Computed tomography of the spine — sagittal view
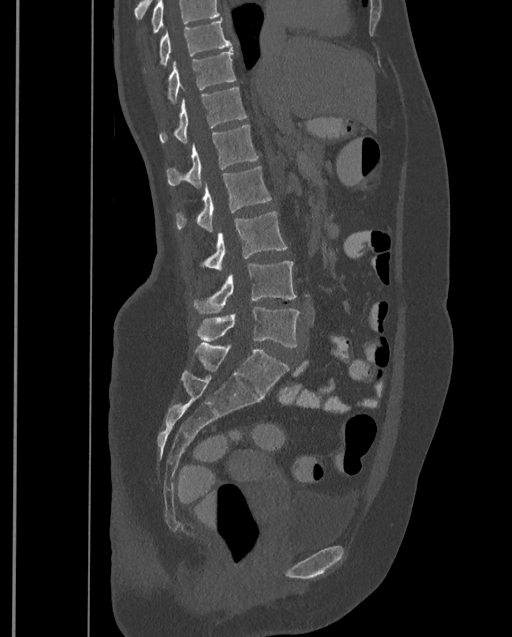
Each row gives a vertebra's box as x1, y1, x2, y2 in pixels: top-left corner, then bottom-right corner.
No box is given to a vertebra that the top edge of the scan cuts off.
This scan's labels start at T9 at the top and end at L4 at the bottom.
| vertebra | x1 | y1 | x2 | y2 |
|---|---|---|---|---|
| L4 | 197 | 306 | 299 | 347 |
| L3 | 194 | 260 | 297 | 313 |
| L2 | 204 | 211 | 286 | 270 |
| L1 | 177 | 166 | 271 | 231 |
| T12 | 165 | 125 | 258 | 187 |
| T11 | 159 | 87 | 247 | 143 |
| T10 | 168 | 49 | 236 | 103 |
| T9 | 143 | 17 | 231 | 72 |